Spine computed tomography · Sagittal slice 239/512 · bone-window reconstruction
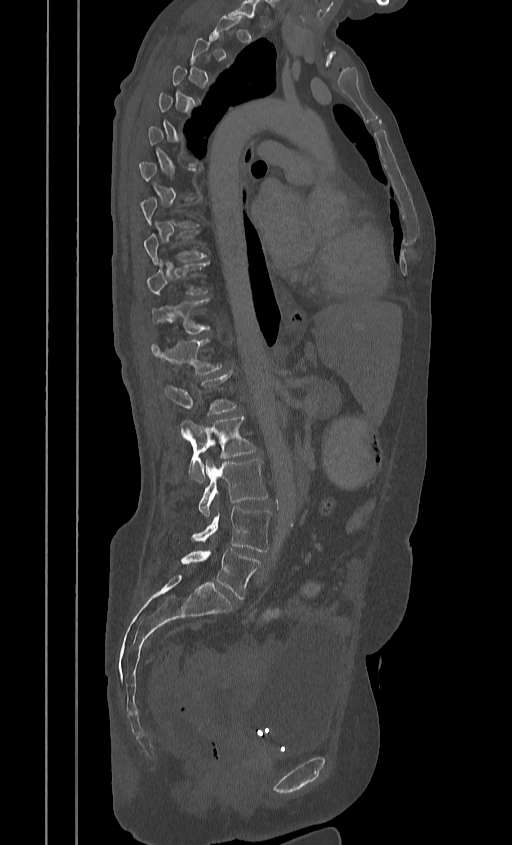 Boxes: x1 y1 x2 y2 (pixel coords, space-separated).
A vertebra gets a box only on the slices from the first to the last where its cross-section is at least a third of its largest; on a slice outside that range it gets none.
T10: 146 260 208 295
T11: 152 299 211 334
T12: 150 339 221 374
L1: 164 372 236 415
L2: 180 416 256 483
L3: 198 459 267 516
L4: 192 507 271 552
L5: 181 549 260 599